CT. sagittal plane, index 98
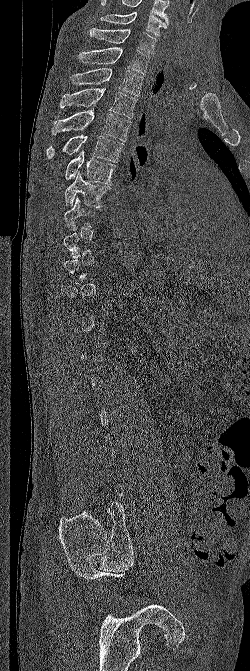

Not every vertebra on this slice has a box: a vertebra is boxed only from the first to the last slice where its cross-section is at least a third of its largest, and this slice is outside that range for at least one of them.
The highest labeled vertebra in this scan is C6; the lowest is L5.
<vertebrae><v name="T8" x1="64" y1="196" x2="95" y2="230"/><v name="T7" x1="65" y1="171" x2="111" y2="207"/><v name="T6" x1="64" y1="149" x2="116" y2="184"/><v name="T5" x1="46" y1="135" x2="124" y2="162"/><v name="T4" x1="52" y1="108" x2="131" y2="141"/><v name="T3" x1="59" y1="88" x2="137" y2="118"/><v name="T2" x1="70" y1="67" x2="143" y2="96"/><v name="T1" x1="78" y1="47" x2="150" y2="74"/><v name="C7" x1="89" y1="27" x2="157" y2="54"/><v name="C6" x1="100" y1="12" x2="166" y2="36"/></vertebrae>